CT · sagittal plane, index 50
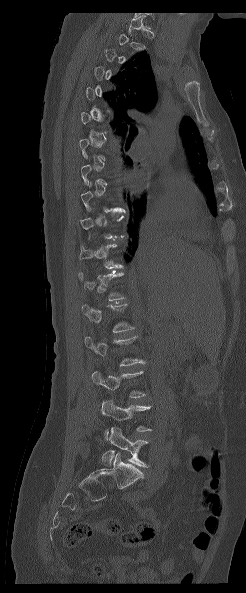 Coordinates as <box>x1,y1,x2,y2</box>.
Not every vertebra on this slice has a box: a vertebra is boxed only from the first to the last slice where its cross-section is at least a third of its largest, and this slice is outside that range for at least one of them.
Vertebra bounding boxes:
- L5: <box>101,426,148,467</box>
- L4: <box>101,399,151,439</box>
- L3: <box>92,371,145,397</box>